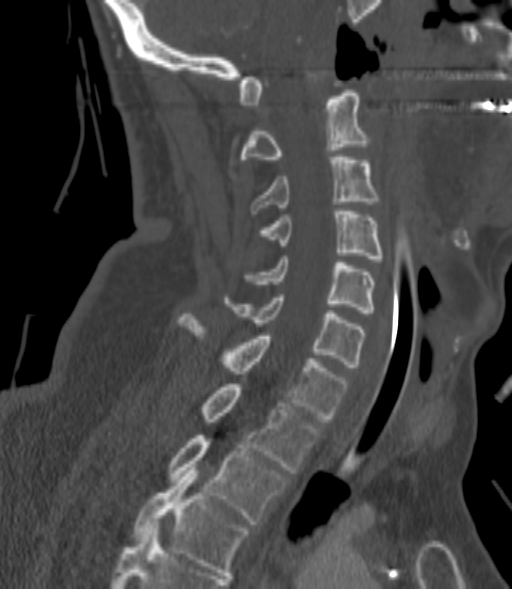
Computed tomography of the spine · sagittal reformat · W/L 1800/400 HU
Each vertebra maps to its box as [x1, y1, x2, y2], the pixel coordinates of its top-left and bottom-right corners.
Each vertebra is boxed only on the slices from the first to the last where its cross-section reaches a third of its largest, so a slice outside that range leaves it unboxed.
{"vertebrae":{"C2":[241,90,368,162],"C3":[250,157,376,213],"C4":[259,211,381,261],"C5":[247,256,374,313],"C6":[226,294,363,367],"C7":[177,314,348,421],"T1":[200,384,320,473],"T2":[167,435,287,524],"T3":[134,470,248,575]}}